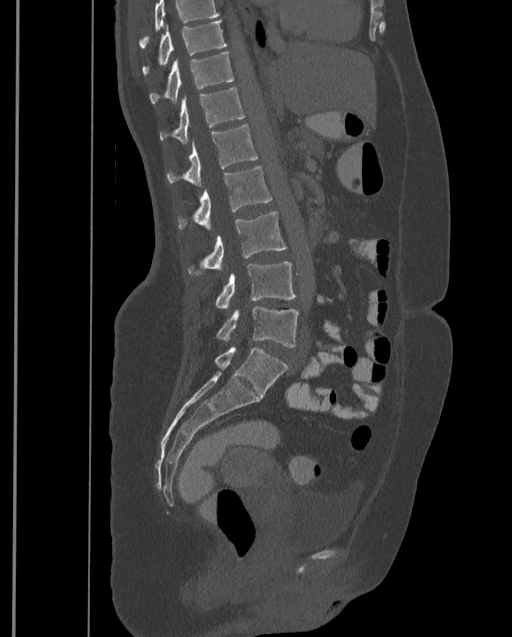

CT, spine. sagittal view. W/L 1800/400 HU
Box edges are left/top/right/bottom in pixels. A vertebra cut off by the top edge of the scan is not labeled and has no box. In this scan, the topmost labeled vertebra is T9 and the lowest is L4. The labeled vertebrae in this slice are: T9 at left=142, top=21, right=227, bottom=75, T10 at left=150, top=51, right=234, bottom=103, T11 at left=160, top=87, right=245, bottom=143, T12 at left=167, top=125, right=258, bottom=186, L1 at left=178, top=166, right=272, bottom=230, L2 at left=188, top=211, right=286, bottom=275, L3 at left=215, top=262, right=295, bottom=309, L4 at left=217, top=306, right=299, bottom=347.